CT · sagittal plane, index 273 · W/L 1800/400 HU · the image spans 461 mm across
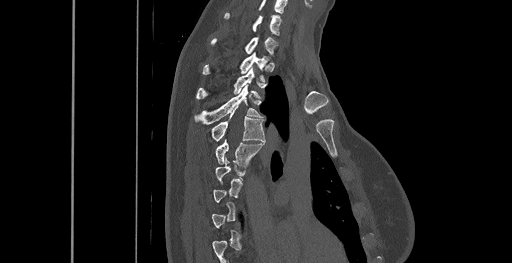
Boxes: x1:y1:x2:y2 in pixels.
Each vertebra is boxed only on the slices from the first to the last where its cross-section reaches a third of its largest, so a slice outside that range leaves it unboxed.
In this scan, the topmost labeled vertebra is C6 and the lowest is T8.
Vertebra bounding boxes:
- C6: 225:13:281:35
- C7: 211:37:277:54
- T1: 203:53:268:79
- T2: 196:67:259:99
- T3: 194:85:262:124
- T4: 212:110:264:141
- T5: 215:140:263:166